CT · Sagittal slice 284/512 · bone window · scan covers 17 annotated vertebrae
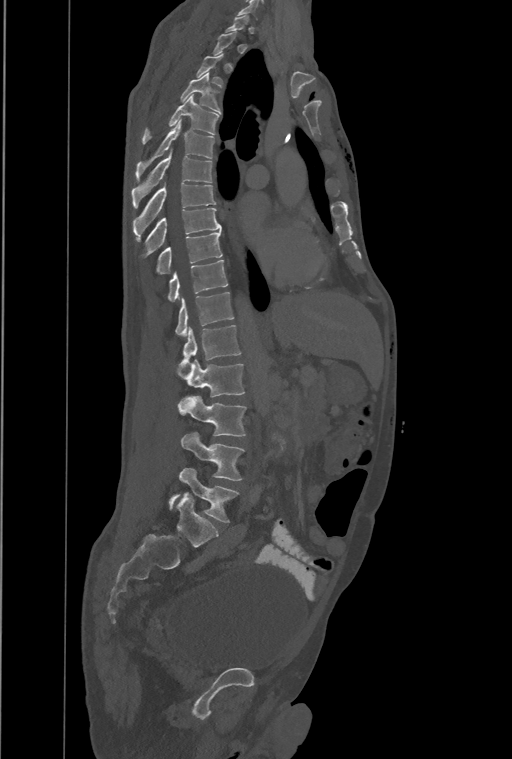

Columns x1, y1, x2, y2 give each box's top-left and bottom-right pixels.
A vertebra gets a box only on the slices from the first to the last where its cross-section is at least a third of its largest; on a slice outside that range it gets none.
In this scan, the topmost labeled vertebra is T1 and the lowest is L4.
The labels name an extra thoracic vertebra here, T13, which comes after T12 and before L1.
| vertebra | x1 | y1 | x2 | y2 |
|---|---|---|---|---|
| L4 | 170 | 468 | 237 | 523 |
| L3 | 181 | 432 | 244 | 480 |
| L2 | 177 | 396 | 246 | 436 |
| L1 | 179 | 359 | 244 | 397 |
| T13 | 179 | 325 | 241 | 368 |
| T12 | 175 | 292 | 233 | 336 |
| T11 | 167 | 260 | 227 | 301 |
| T10 | 156 | 231 | 222 | 274 |
| T9 | 145 | 208 | 221 | 255 |
| T8 | 133 | 182 | 215 | 239 |
| T7 | 132 | 152 | 212 | 207 |
| T6 | 135 | 120 | 214 | 181 |
| T5 | 142 | 95 | 219 | 144 |
| T4 | 181 | 72 | 219 | 111 |
| T3 | 196 | 54 | 223 | 87 |